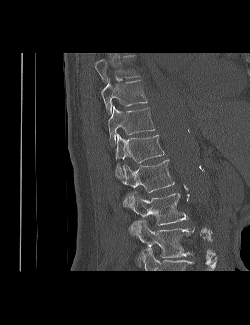
CT, spine; sagittal view
Each box given as x1,y1,x2,y2.
In this scan, the topmost labeled vertebra is T9 and the lowest is L3.
Vertebra bounding boxes:
- L3: x1=130, y1=220, x2=194, y2=267
- L2: x1=122, y1=192, x2=189, y2=225
- L1: x1=123, y1=159, x2=174, y2=206
- T12: x1=115, y1=134, x2=164, y2=178
- T11: x1=108, y1=106, x2=155, y2=145
- T10: x1=101, y1=80, x2=147, y2=115
- T9: x1=95, y1=59, x2=139, y2=82